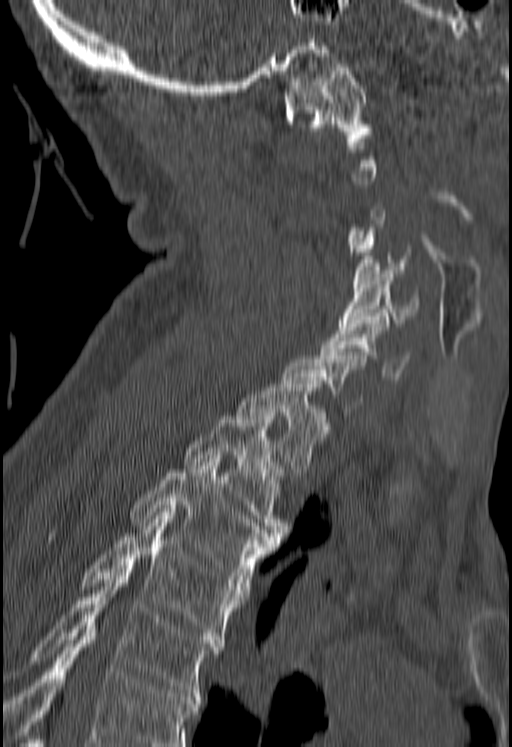

Spine CT. sagittal view. W/L 1800/400 HU. Coordinates as <box>x1,y1,x2,y2</box>.
A vertebra gets a box only on the slices from the first to the last where its cross-section is at least a third of its largest; on a slice outside that range it gets none.
No box is given to a vertebra that the bottom edge of the scan cuts off.
Vertebra bounding boxes:
- C1: <box>284,64,371,141</box>
- C4: <box>351,228,411,291</box>
- C5: <box>338,270,419,326</box>
- C6: <box>322,316,409,379</box>
- T1: <box>237,384,328,472</box>
- T2: <box>183,416,285,539</box>
- T3: <box>129,459,279,586</box>
- T4: <box>78,512,245,643</box>
- T5: <box>9,569,222,696</box>